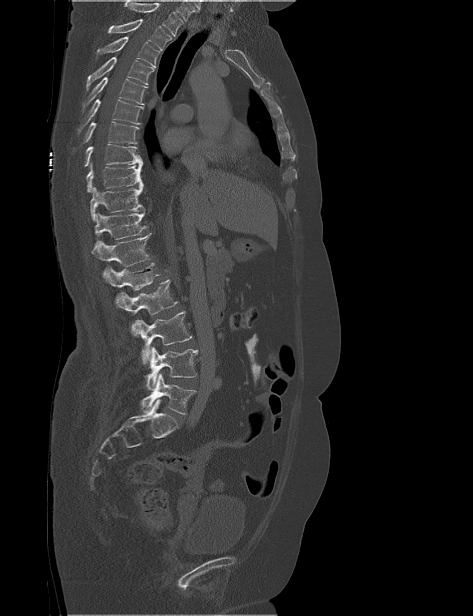
Computed tomography of the spine — sagittal view
In the table, x1 and y1 are a box's top-left corner and x2 and y2 its bottom-right corner, in pixels.
Vertebrae that run past the top of the scan are left unlabeled.
| vertebra | x1 | y1 | x2 | y2 |
|---|---|---|---|---|
| T2 | 108 | 19 | 172 | 50 |
| T3 | 95 | 36 | 160 | 67 |
| T4 | 86 | 57 | 154 | 90 |
| T5 | 82 | 77 | 147 | 114 |
| T6 | 78 | 99 | 143 | 134 |
| T7 | 82 | 121 | 139 | 143 |
| T8 | 84 | 144 | 142 | 166 |
| T9 | 86 | 163 | 143 | 192 |
| T10 | 90 | 187 | 144 | 221 |
| T11 | 94 | 211 | 147 | 239 |
| T12 | 90 | 233 | 151 | 266 |
| L1 | 103 | 263 | 160 | 290 |
| L2 | 116 | 279 | 178 | 335 |
| L3 | 134 | 311 | 192 | 364 |
| L4 | 144 | 346 | 198 | 390 |
| L5 | 140 | 373 | 196 | 414 |